CT spine; sagittal view
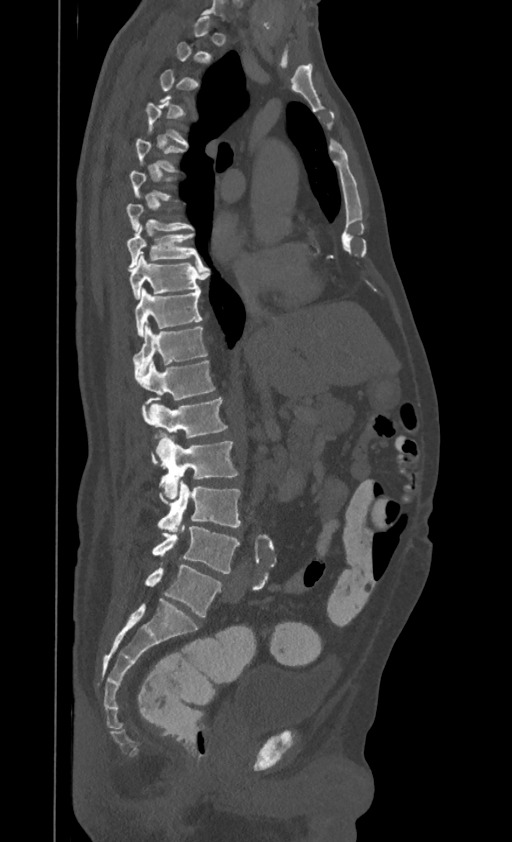 A vertebra is boxed only from the first to the last slice where its cross-section is at least a third of its largest; slices outside that range leave it without a box.
Labels in this scan begin with T1 at the top and end with L4 at the bottom.
<vertebrae><v name="T5" x1="136" y1="139" x2="184" y2="172"/><v name="T7" x1="127" y1="203" x2="193" y2="231"/><v name="T8" x1="127" y1="224" x2="200" y2="270"/><v name="T9" x1="129" y1="253" x2="205" y2="300"/><v name="T10" x1="135" y1="289" x2="202" y2="336"/><v name="T11" x1="133" y1="324" x2="208" y2="375"/><v name="T12" x1="135" y1="360" x2="215" y2="404"/><v name="L1" x1="142" y1="398" x2="227" y2="459"/><v name="L2" x1="153" y1="436" x2="237" y2="499"/><v name="L3" x1="158" y1="481" x2="240" y2="530"/><v name="L4" x1="152" y1="526" x2="239" y2="573"/></vertebrae>